CT, spine — Sagittal slice 250/512 — Bone window (WL 400, WW 1800) — 650x407 px — a region is masked with a constant gray value
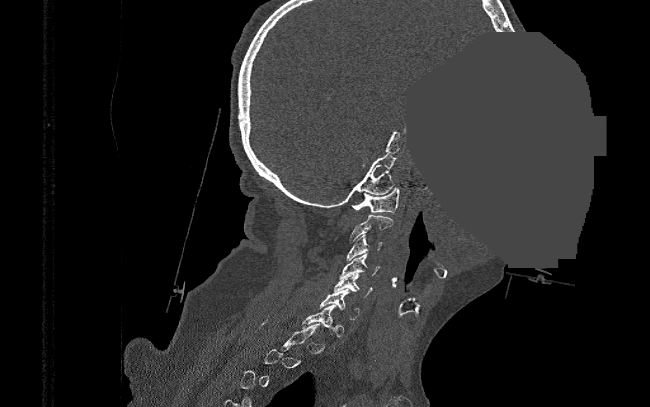

A vertebra is boxed only from the first to the last slice where its cross-section is at least a third of its largest; slices outside that range leave it without a box.
<vertebrae><v name="C1" x1="352" y1="187" x2="399" y2="213"/><v name="C2" x1="349" y1="215" x2="394" y2="241"/><v name="C3" x1="347" y1="235" x2="382" y2="261"/><v name="C4" x1="339" y1="253" x2="381" y2="279"/><v name="C5" x1="334" y1="273" x2="372" y2="297"/><v name="C6" x1="319" y1="288" x2="360" y2="319"/></vertebrae>